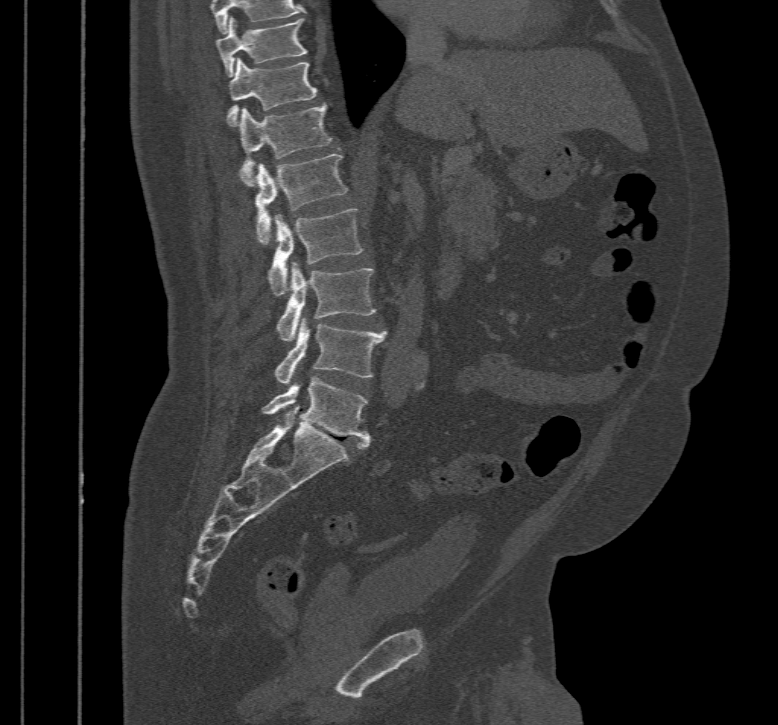

Spine computed tomography. 467 mm across the image. sagittal reformat
Each box is [x1, y1, x2, y2] in pixels: top-left corner, then bottom-right corner.
The highest labeled vertebra in this scan is T10; the lowest is L5.
{"vertebrae":{"T10":[214,17,308,76],"T11":[227,58,317,126],"T12":[239,104,332,186],"L1":[255,153,347,244],"L2":[268,209,362,296],"L3":[277,262,376,341],"L4":[274,317,388,384],"L5":[260,377,370,448]}}